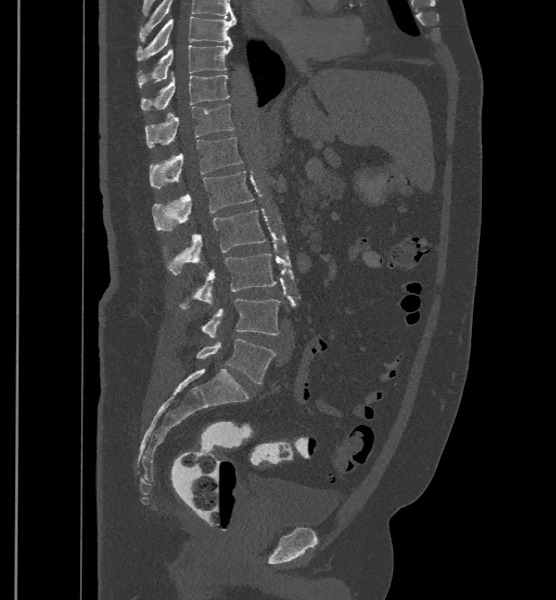
CT — 500 mm image width — sagittal reformat — Bone window (WL 400, WW 1800)
Box values are [left, top, right, bottom] in pixels.
Labels in this scan begin with T9 at the top and end with L6 at the bottom.
The labels name a sixth lumbar vertebra for this spine: L6, after L5.
{"vertebrae":{"T9":[137,16,236,60],"T10":[138,44,232,87],"T11":[141,72,229,110],"T12":[145,103,234,148],"L1":[149,137,242,188],"L2":[152,171,253,230],"L3":[162,210,266,275],"L4":[178,253,277,309],"L5":[201,299,280,337],"L6":[196,339,276,383]}}